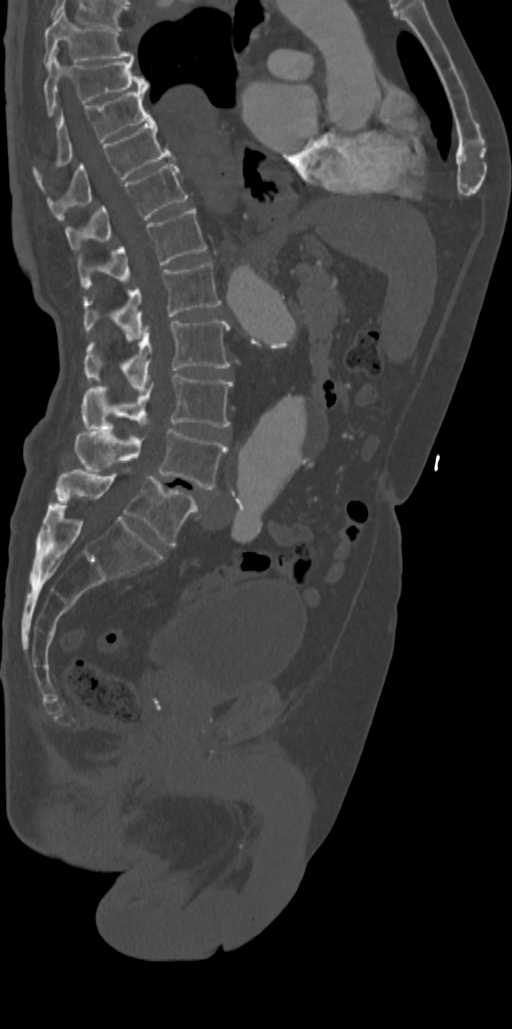 CT. sagittal view. bone window. 512x1029 px
Boxes: x1:y1:x2:y2 in pixels.
Vertebra bounding boxes:
- L5: 55:470:198:545
- L4: 75:429:226:489
- L3: 84:373:232:430
- L2: 84:319:229:392
- L1: 84:263:220:340
- T12: 78:207:205:287
- T11: 66:164:187:251
- T10: 48:115:171:219
- T9: 34:90:149:174
- T8: 43:54:147:116
- T7: 43:9:132:66